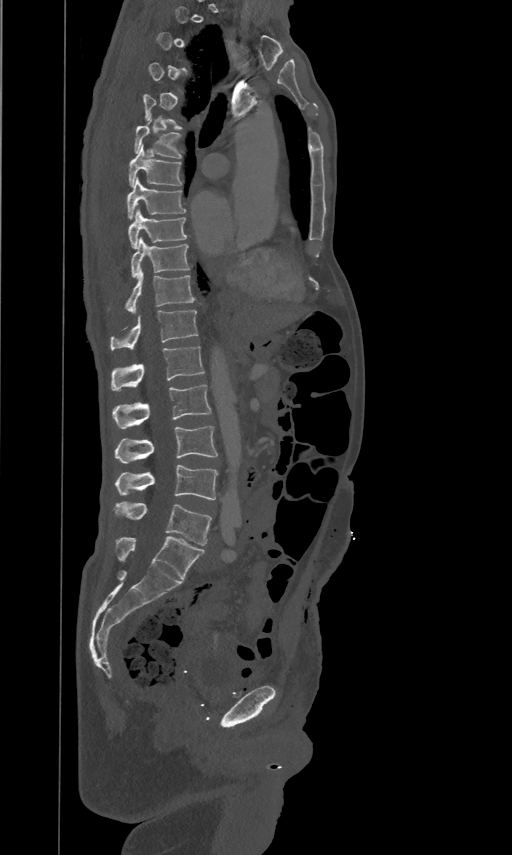

Spine CT. sagittal view
Each box is [x1, y1, x2, y2] in pixels: top-left corner, then bottom-right corner.
A vertebra is boxed only from the first to the last slice where its cross-section is at least a third of its largest; slices outside that range leave it without a box.
{"vertebrae":{"L5":[116,502,211,545],"L4":[115,465,217,500],"L3":[115,425,217,463],"L2":[112,384,211,429],"L1":[111,345,204,389],"T12":[110,309,198,349],"T11":[124,269,195,311],"T10":[131,236,189,276],"T9":[128,207,187,248],"T8":[127,177,186,219],"T7":[129,143,181,185],"T6":[134,118,181,158]}}